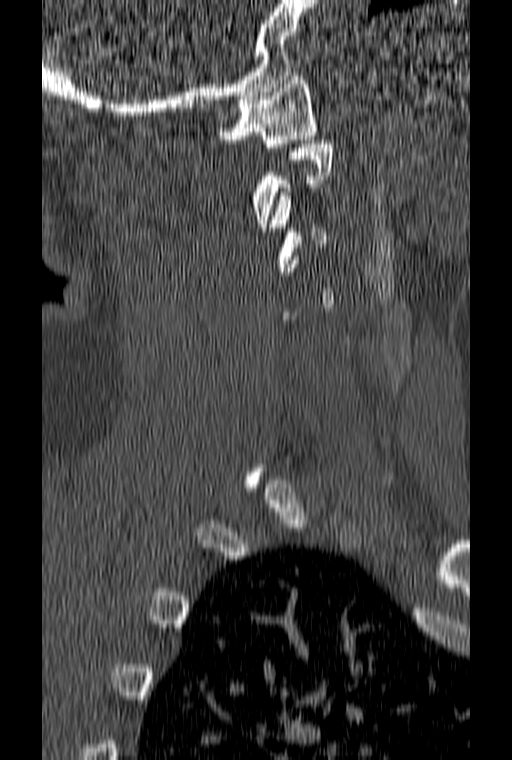 CT, spine. sagittal view
Boxes below are [x1, y1, x2, y2] in pixels.
A vertebra gets a box only on the slices from the first to the last where its cross-section is at least a third of its largest; on a slice outside that range it gets none.
{"vertebrae":{"C1":[219,76,317,147],"C3":[269,192,326,271]}}